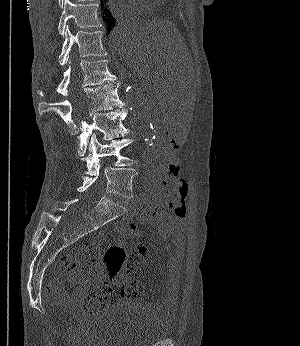

Computed tomography of the spine — sagittal reformat
Boxes are given in columns x1, y1, x2, y2, the pixel coordinates of their top-left and bottom-right corners.
| vertebra | x1 | y1 | x2 | y2 |
|---|---|---|---|---|
| T11 | 58 | 0 | 101 | 35 |
| T12 | 58 | 25 | 106 | 66 |
| L1 | 38 | 60 | 116 | 96 |
| L2 | 38 | 82 | 124 | 134 |
| L3 | 77 | 109 | 129 | 155 |
| L4 | 80 | 134 | 137 | 175 |
| L5 | 77 | 163 | 138 | 198 |